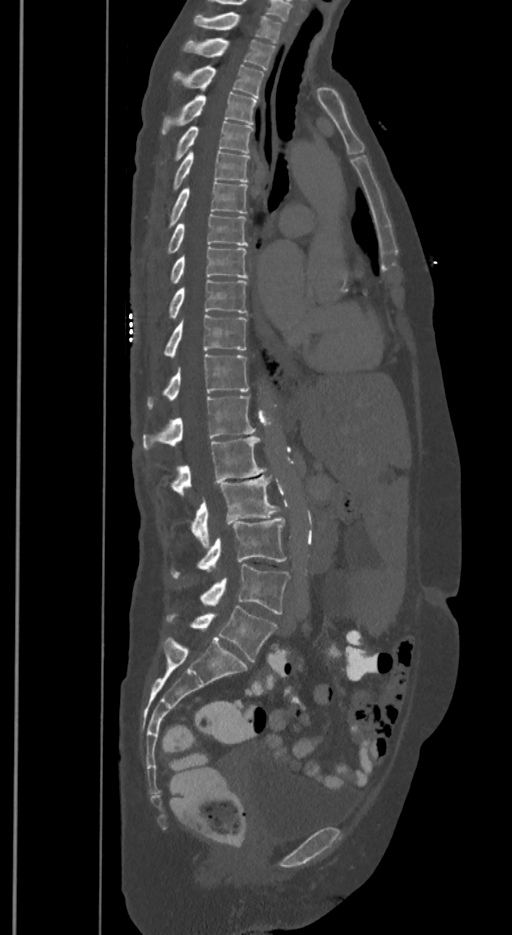
CT spine. image 350 mm wide. sagittal view
Box edges are left/top/right/bottom in pixels. In these labels the spine has an L6, a sixth lumbar vertebra below L5. Vertebrae labeled: L6 at left=167, top=606, right=277, bottom=661, L5 at left=200, top=563, right=288, bottom=614, L4 at left=171, top=517, right=285, bottom=577, L3 at left=191, top=475, right=278, bottom=548, L2 at left=171, top=436, right=265, bottom=495, L1 at left=143, top=396, right=255, bottom=449, T12 at left=148, top=354, right=249, bottom=407, T11 at left=164, top=315, right=246, bottom=356, T10 at left=169, top=279, right=246, bottom=318, T9 at left=171, top=246, right=247, bottom=283, T8 at left=168, top=213, right=247, bottom=252, T7 at left=169, top=182, right=247, bottom=227, T6 at left=174, top=151, right=249, bottom=190, T5 at left=175, top=121, right=252, bottom=160, T4 at left=162, top=92, right=256, bottom=133, T3 at left=172, top=65, right=264, bottom=98, T2 at left=184, top=38, right=275, bottom=69, T1 at left=194, top=12, right=281, bottom=42.